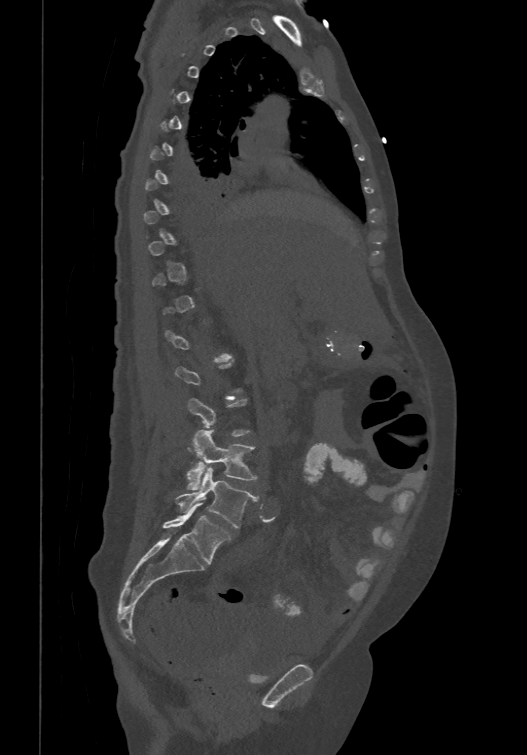
CT spine — image width 474 mm — sagittal reformat — W/L 1800/400 HU
Boxes are (x1, y1, x2, y2) in pixels. Each vertebra is boxed only on the slices from the first to the last where its cross-section reaches a third of its largest, so a slice outside that range leaves it unboxed. In these labels the spine has an L6, a sixth lumbar vertebra below L5. 3 vertebrae labeled — L4 at (186, 429, 257, 490); L5 at (176, 468, 258, 527); L6 at (163, 503, 230, 564).